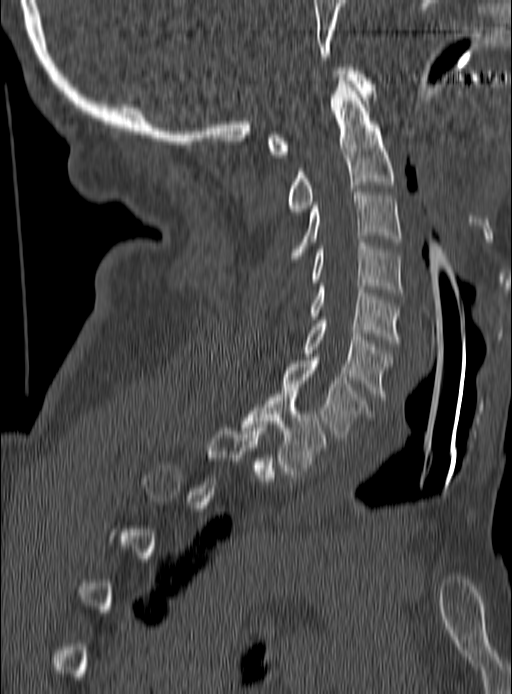 CT, spine; the image spans 190 mm across; sagittal view
Not every vertebra on this slice has a box: a vertebra is boxed only from the first to the last slice where its cross-section is at least a third of its largest, and this slice is outside that range for at least one of them.
<vertebrae><v name="T1" x1="243" y1="391" x2="326" y2="474"/><v name="C7" x1="281" y1="360" x2="369" y2="440"/><v name="C6" x1="303" y1="317" x2="391" y2="400"/><v name="C5" x1="311" y1="283" x2="399" y2="343"/><v name="C4" x1="311" y1="243" x2="401" y2="295"/><v name="C3" x1="292" y1="189" x2="401" y2="258"/><v name="C2" x1="289" y1="77" x2="393" y2="215"/><v name="C1" x1="268" y1="67" x2="374" y2="157"/></vertebrae>